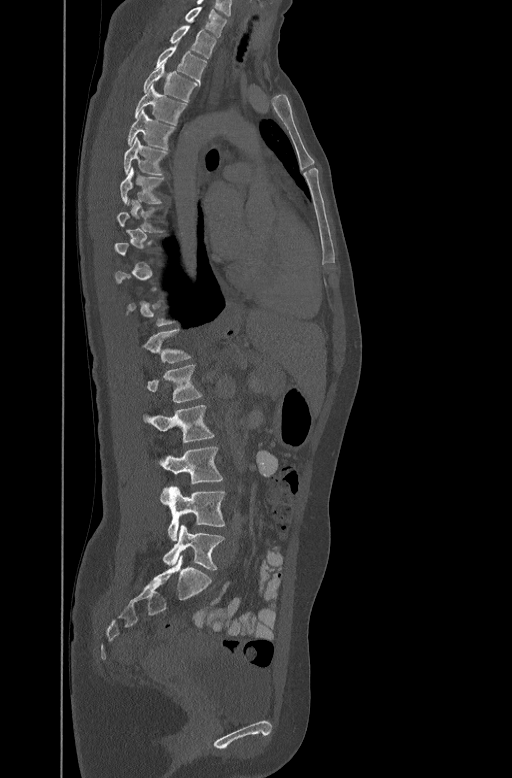

Spine CT. sagittal reformat
Boxes: x1 y1 x2 y2 (pixel coords, space-separated).
A vertebra gets a box only on the slices from the first to the last where its cross-section is at least a third of its largest; on a slice outside that range it gets none.
C7: 185 6 228 37
T1: 171 24 215 58
T2: 156 44 206 81
T3: 143 64 198 100
T4: 135 84 186 124
T5: 127 109 174 147
T6: 124 136 167 174
T7: 120 167 163 203
T12: 144 328 190 362
L1: 147 364 202 402
L2: 144 405 213 443
L3: 161 446 222 485
L4: 159 486 225 540
L5: 163 525 223 570